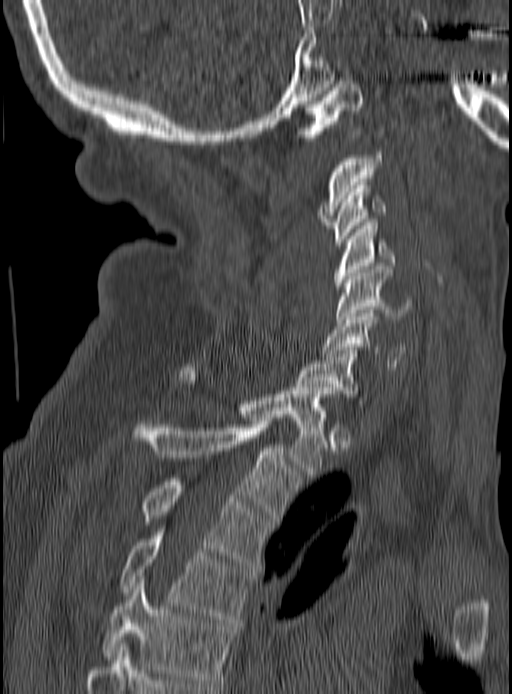

Spine computed tomography · sagittal view · 512x694 px. Box edges are left/top/right/bottom in pixels.
| vertebra | x1 | y1 | x2 | y2 |
|---|---|---|---|---|
| C1 | 296 | 81 | 364 | 137 |
| C2 | 319 | 152 | 383 | 225 |
| C3 | 335 | 182 | 385 | 245 |
| C4 | 335 | 222 | 396 | 289 |
| C5 | 336 | 266 | 413 | 322 |
| C6 | 321 | 310 | 407 | 370 |
| C7 | 297 | 350 | 369 | 403 |
| T1 | 180 | 364 | 331 | 474 |
| T2 | 130 | 418 | 299 | 521 |
| T3 | 141 | 478 | 269 | 565 |
| T4 | 119 | 532 | 253 | 622 |
| T5 | 103 | 579 | 234 | 686 |